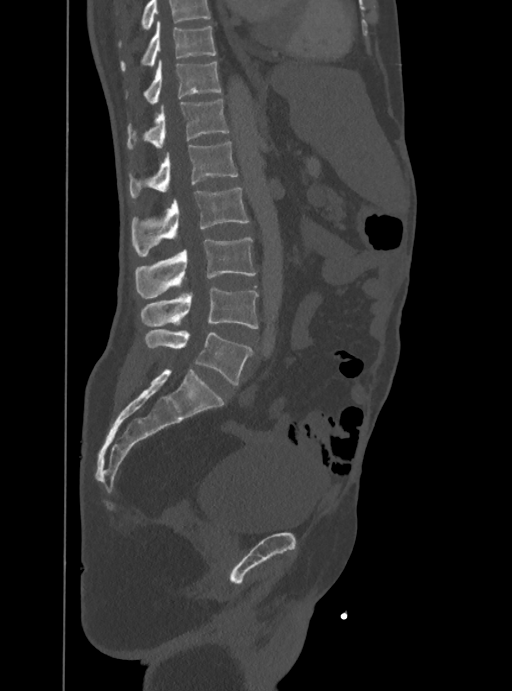

Computed tomography of the spine — sagittal view — Bone window (WL 400, WW 1800)
No box is given to a vertebra that the top edge of the scan cuts off.
<vertebrae><v name="L5" x1="145" y1="330" x2="251" y2="384"/><v name="L4" x1="141" y1="287" x2="257" y2="329"/><v name="L3" x1="134" y1="238" x2="255" y2="298"/><v name="L2" x1="132" y1="188" x2="248" y2="257"/><v name="L1" x1="129" y1="141" x2="238" y2="199"/><v name="T12" x1="127" y1="99" x2="228" y2="150"/><v name="T11" x1="144" y1="61" x2="221" y2="104"/><v name="T10" x1="120" y1="21" x2="215" y2="70"/></vertebrae>